Spine CT — 140 mm across the image — Sagittal slice 254/512
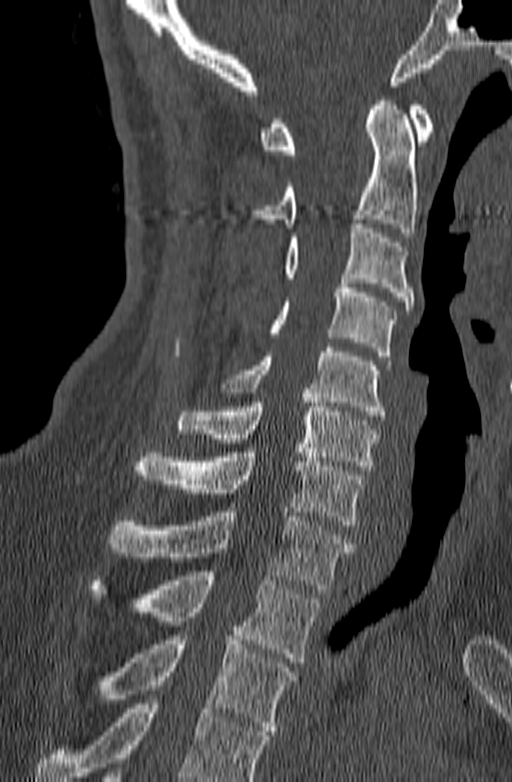 Boxes: x1 y1 x2 y2 (pixel coords, space-separated). No box is given to a vertebra that the bottom edge of the scan cuts off. 10 vertebrae labeled — T3 at 64 631 297 735; T2 at 90 571 320 662; T1 at 107 507 353 589; C7 at 133 448 362 525; C6 at 177 393 377 470; C5 at 222 347 391 420; C4 at 250 279 396 356; C3 at 283 224 413 310; C2 at 250 96 418 237; C1 at 258 101 434 154.